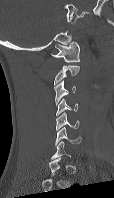 CT. sagittal view. bone-window reconstruction. Boxes are given in columns x1, y1, x2, y2, the pixel coordinates of their top-left and bottom-right corners.
Not every vertebra on this slice has a box: a vertebra is boxed only from the first to the last slice where its cross-section is at least a third of its largest, and this slice is outside that range for at least one of them.
| vertebra | x1 | y1 | x2 | y2 |
|---|---|---|---|---|
| C1 | 50 | 42 | 79 | 62 |
| C2 | 54 | 65 | 79 | 86 |
| C3 | 54 | 80 | 76 | 105 |
| C4 | 56 | 98 | 78 | 116 |
| C5 | 55 | 112 | 79 | 130 |
| C6 | 55 | 127 | 81 | 145 |